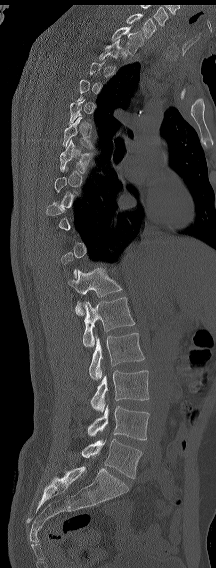
Spine computed tomography; sagittal view

Boxes: x1 y1 x2 y2 (pixel coords, space-separated).
A vertebra is boxed only from the first to the last slice where its cross-section is at least a third of its largest; slices outside that range leave it without a box.
The highest labeled vertebra in this scan is C7; the lowest is L6.
In these labels the spine has an L6, a sixth lumbar vertebra below L5.
L6: 81 439 142 478
L5: 87 405 149 440
L4: 90 370 149 412
L3: 89 333 144 380
L2: 83 297 135 347
L1: 68 267 122 315
T7: 60 139 92 172
T6: 62 115 93 148
T2: 99 38 127 60
T1: 111 27 143 54
C7: 126 13 156 38